CT spine; Sagittal slice 308/512; the image spans 153 mm across; bone-window reconstruction; 512x757 px
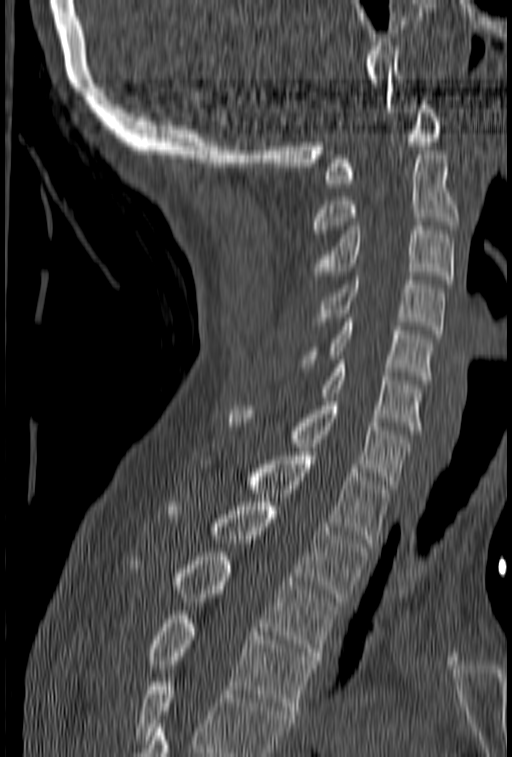
Box edges are left/top/right/bottom in pixels.
Where the bottom of the scan cuts through a vertebra, that vertebra gets no label or box.
| vertebra | x1 | y1 | x2 | y2 |
|---|---|---|---|---|
| T4 | 145 | 615 | 315 | 714 |
| T3 | 130 | 552 | 338 | 660 |
| T2 | 168 | 502 | 368 | 601 |
| T1 | 199 | 452 | 388 | 547 |
| C7 | 229 | 397 | 408 | 488 |
| C6 | 321 | 360 | 422 | 434 |
| C5 | 303 | 314 | 434 | 380 |
| C4 | 314 | 276 | 445 | 334 |
| C3 | 315 | 226 | 454 | 283 |
| C2 | 313 | 151 | 459 | 233 |
| C1 | 325 | 96 | 442 | 187 |